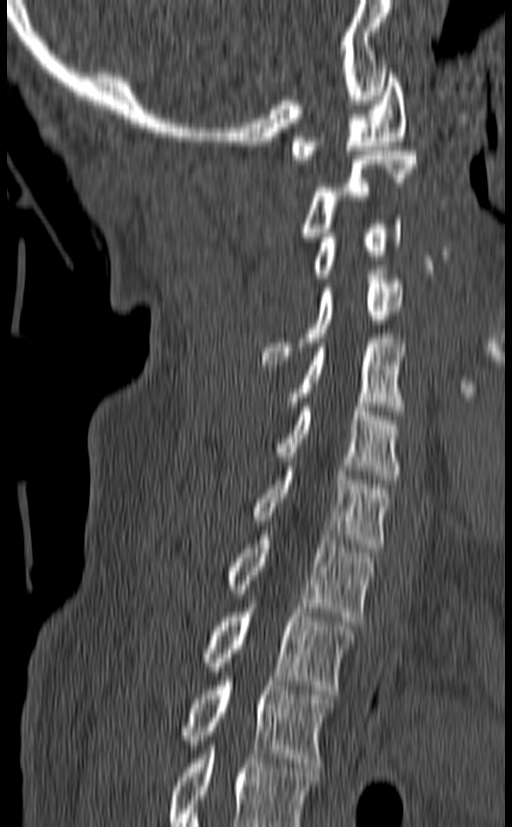 CT, spine · sagittal view
Coordinates as <box>x1,y1,x2,y2</box>. Labels in this scan begin with C1 at the top and end with T3 at the bottom. The labeled vertebrae in this slice are: T3 at <box>181,677,333,767</box>, T2 at <box>199,603,355,694</box>, T1 at <box>224,535,373,621</box>, C7 at <box>250,462,392,552</box>, C6 at <box>207,402,401,479</box>, C5 at <box>287,338,406,415</box>, C4 at <box>261,270,403,365</box>, C3 at <box>309,215,402,278</box>, C2 at <box>298,151,417,237</box>, C1 at <box>290,69,406,164</box>.